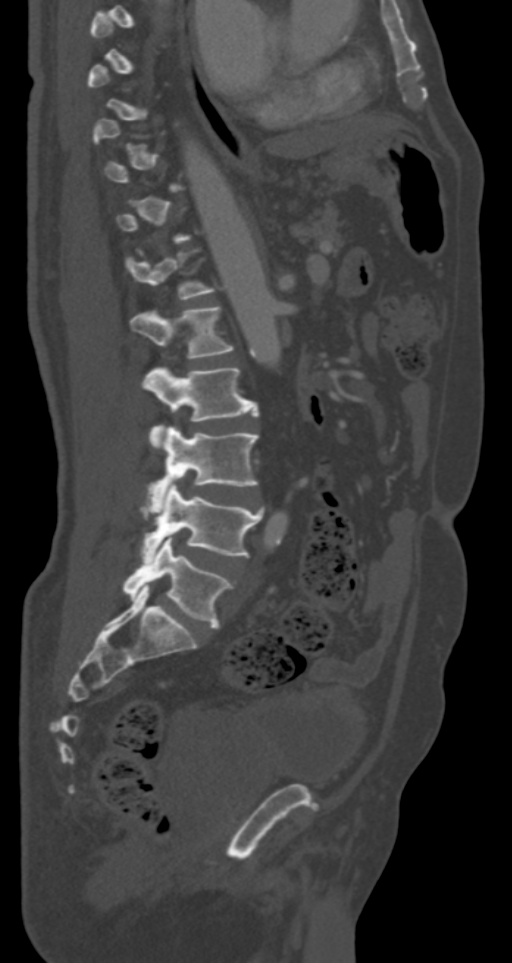 CT, spine · sagittal view · 512x963 px

Box edges are left/top/right/bottom in pixels.
A vertebra gets a box only on the slices from the first to the last where its cross-section is at least a third of its largest; on a slice outside that range it gets none.
Vertebra bounding boxes:
- L1: left=130, top=306, right=234, bottom=357
- L2: left=142, top=367, right=259, bottom=446
- L3: left=148, top=426, right=259, bottom=505
- L4: left=141, top=483, right=263, bottom=561
- L5: left=123, top=534, right=232, bottom=628